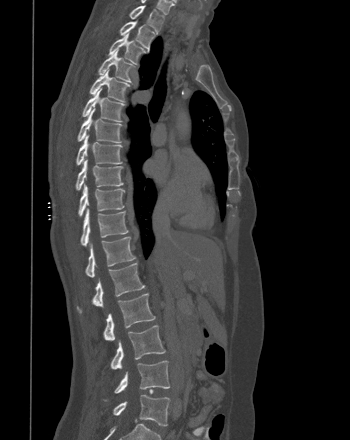 CT spine; sagittal view; 350 mm wide
<vertebrae><v name="T1" x1="129" y1="5" x2="164" y2="31"/><v name="T2" x1="119" y1="21" x2="155" y2="50"/><v name="T3" x1="108" y1="32" x2="145" y2="63"/><v name="T4" x1="98" y1="50" x2="133" y2="82"/><v name="T5" x1="89" y1="69" x2="129" y2="101"/><v name="T6" x1="82" y1="88" x2="124" y2="121"/><v name="T7" x1="77" y1="108" x2="121" y2="142"/><v name="T8" x1="76" y1="134" x2="122" y2="165"/><v name="T9" x1="75" y1="158" x2="123" y2="190"/><v name="T10" x1="78" y1="184" x2="124" y2="217"/><v name="T11" x1="80" y1="208" x2="128" y2="246"/><v name="T12" x1="85" y1="237" x2="135" y2="277"/><v name="L1" x1="77" y1="263" x2="144" y2="313"/><v name="L2" x1="103" y1="293" x2="155" y2="340"/><v name="L3" x1="110" y1="325" x2="165" y2="369"/><v name="L4" x1="105" y1="360" x2="169" y2="400"/><v name="L5" x1="113" y1="395" x2="170" y2="426"/></vertebrae>